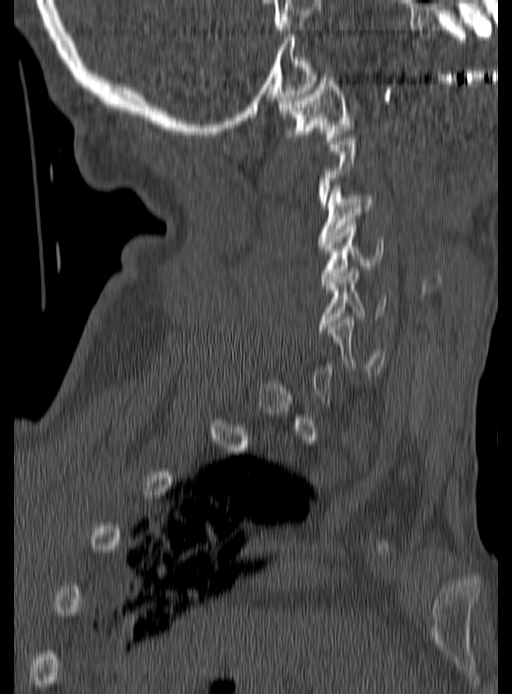

Spine CT · sagittal view · 512x694 px · the image is 190 mm wide
Each vertebra is boxed only on the slices from the first to the last where its cross-section reaches a third of its largest, so a slice outside that range leaves it unboxed.
<vertebrae><v name="C1" x1="279" y1="74" x2="354" y2="144"/><v name="C3" x1="317" y1="182" x2="375" y2="245"/><v name="C4" x1="322" y1="222" x2="383" y2="285"/><v name="C5" x1="319" y1="269" x2="387" y2="329"/><v name="C6" x1="327" y1="317" x2="385" y2="373"/></vertebrae>